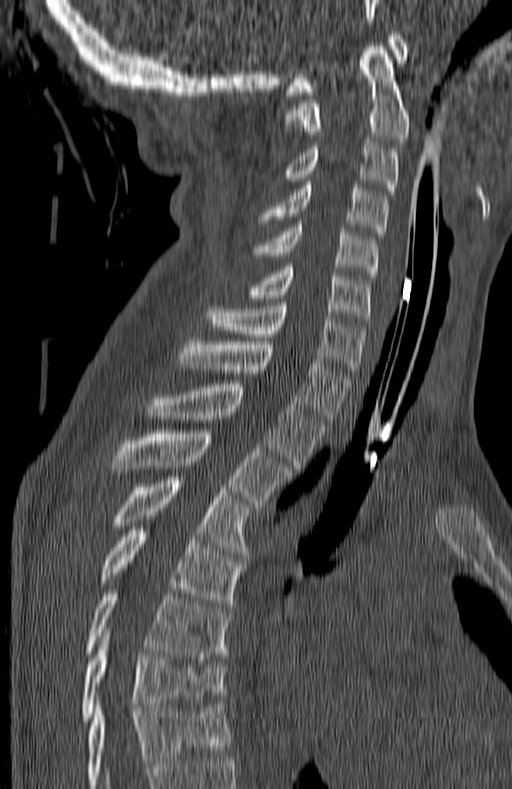

Computed tomography of the spine. sagittal view. bone-window reconstruction
Boxes below are [x1, y1, x2, y2] in pixels.
The highest labeled vertebra in this scan is C1; the lowest is T7.
{"vertebrae":{"C1":[286,32,407,95],"C2":[285,43,410,141],"C3":[280,142,398,195],"C4":[260,185,387,234],"C5":[254,224,378,276],"C6":[248,267,370,323],"C7":[206,302,364,372],"T1":[180,341,350,422],"T2":[149,384,324,468],"T3":[109,430,290,507],"T4":[112,476,247,554],"T5":[100,526,245,607],"T6":[86,590,230,660],"T7":[81,640,225,724]}}